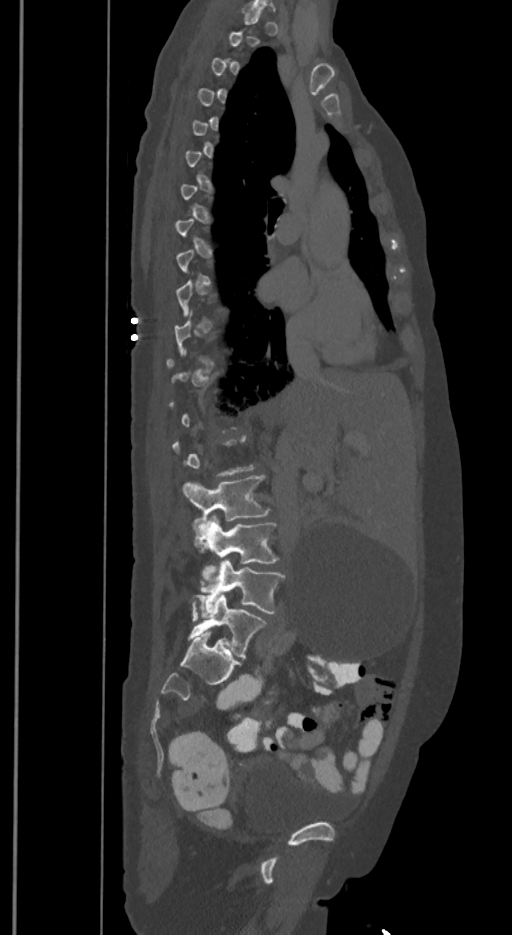

CT spine — sagittal reformat — 512x935 px

A vertebra is boxed only from the first to the last slice where its cross-section is at least a third of its largest; slices outside that range leave it without a box.
In these labels the spine has an L6, a sixth lumbar vertebra below L5.
<vertebrae><v name="L6" x1="187" y1="594" x2="265" y2="657"/><v name="L5" x1="196" y1="560" x2="284" y2="616"/><v name="L4" x1="194" y1="515" x2="278" y2="580"/><v name="L3" x1="183" y1="475" x2="269" y2="537"/></vertebrae>